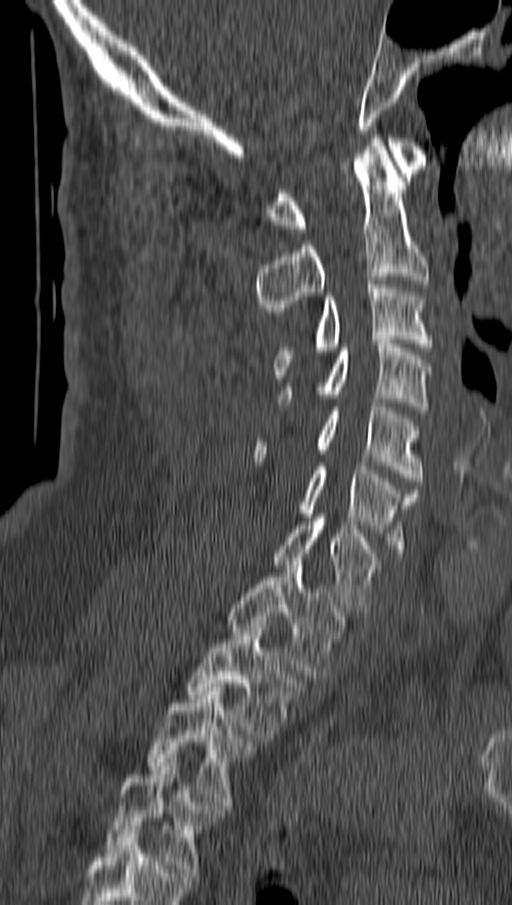

CT spine; sagittal view; W/L 1800/400 HU
Box values are [left, top, right, bottom] in pixels.
{"vertebrae":{"C1":[267,138,426,232],"C2":[257,138,430,315],"C3":[274,280,433,374],"C4":[279,340,430,410],"C5":[257,399,420,485],"C6":[301,462,418,556],"C7":[273,518,376,611],"T1":[229,561,345,679],"T2":[188,620,300,738],"T3":[146,687,253,805],"T4":[105,759,215,876]}}